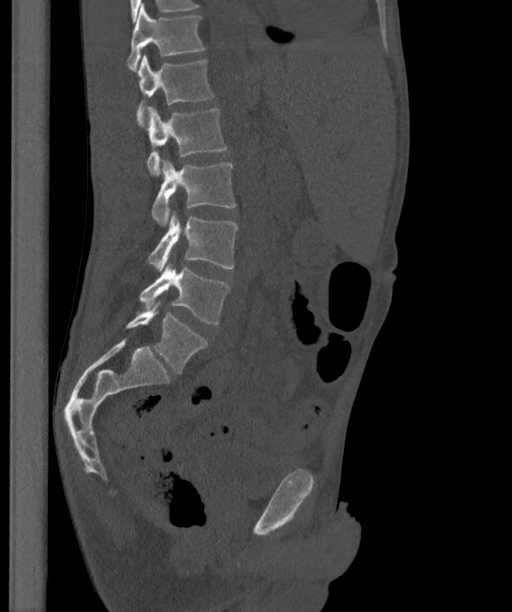
CT spine · sagittal view · 512x612 px
Box edges are left/top/right/bottom in pixels.
The labels name a sixth lumbar vertebra for this spine: L6, after L5.
Vertebra bounding boxes:
- L6: left=126, top=302, right=208, bottom=373
- L5: left=139, top=264, right=230, bottom=324
- L4: left=147, top=213, right=237, bottom=272
- L3: left=151, top=159, right=236, bottom=226
- L2: left=146, top=105, right=227, bottom=177
- L1: left=136, top=55, right=215, bottom=126
- T12: left=127, top=3, right=205, bottom=71